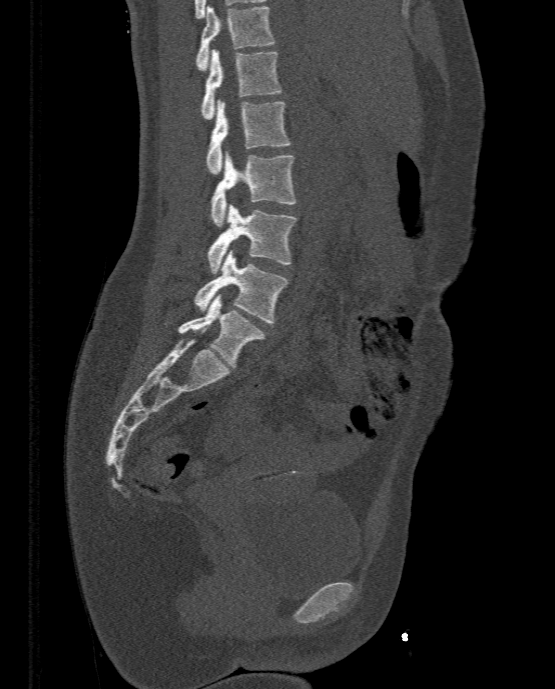

CT · sagittal view · the image spans 333 mm across
Coordinates as <box>x1,y1,x2,y2</box>.
T11: <box>196,6,275,70</box>
T12: <box>201,49,282,119</box>
L1: <box>206,99,291,173</box>
L2: <box>209,151,297,226</box>
L3: <box>206,205,297,273</box>
L4: <box>194,250,288,323</box>
L5: <box>178,294,266,367</box>